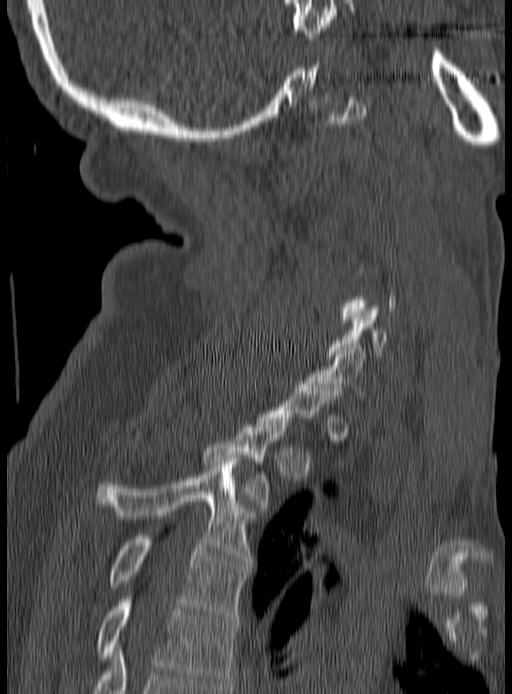
CT; sagittal view; 190 mm across the image; bone window
A vertebra is boxed only from the first to the last slice where its cross-section is at least a third of its largest; slices outside that range leave it without a box.
<vertebrae><v name="C6" x1="327" y1="307" x2="387" y2="356"/><v name="C7" x1="307" y1="344" x2="365" y2="400"/><v name="T2" x1="203" y1="418" x2="289" y2="511"/><v name="T3" x1="95" y1="458" x2="253" y2="565"/><v name="T4" x1="109" y1="536" x2="248" y2="619"/><v name="T5" x1="98" y1="596" x2="237" y2="686"/></vertebrae>